Spine computed tomography · Sagittal slice 81/152 · 152 mm across the image · bone window
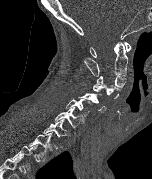

Each box given as x1,y1,x2,y2. In this scan, the topmost labeled vertebra is C1 and the lowest is T2. 9 vertebrae labeled — T2 at x1=29, y1=132, x2=52, y2=160; T1 at x1=43, y1=119, x2=69, y2=146; C7 at x1=54, y1=107, x2=84, y2=127; C6 at x1=65, y1=98, x2=92, y2=117; C5 at x1=79, y1=93, x2=106, y2=112; C4 at x1=93, y1=84, x2=120, y2=99; C3 at x1=96, y1=76, x2=126, y2=87; C2 at x1=83, y1=41, x2=127, y2=76; C1 at x1=90, y1=41, x2=131, y2=57.